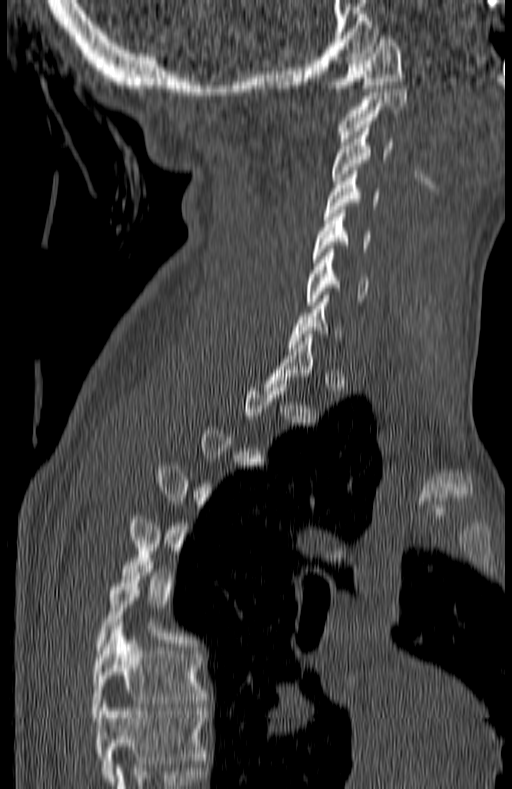

Computed tomography of the spine · sagittal view · 512x789 px
Not every vertebra on this slice has a box: a vertebra is boxed only from the first to the last slice where its cross-section is at least a third of its largest, and this slice is outside that range for at least one of them.
The highest labeled vertebra in this scan is C1; the lowest is T7.
<vertebrae><v name="C1" x1="331" y1="36" x2="405" y2="88"/><v name="C2" x1="337" y1="89" x2="407" y2="141"/><v name="C3" x1="331" y1="128" x2="392" y2="184"/><v name="C4" x1="322" y1="171" x2="380" y2="219"/><v name="C5" x1="314" y1="210" x2="370" y2="259"/><v name="C6" x1="305" y1="249" x2="367" y2="305"/><v name="T7" x1="92" y1="626" x2="206" y2="717"/></vertebrae>